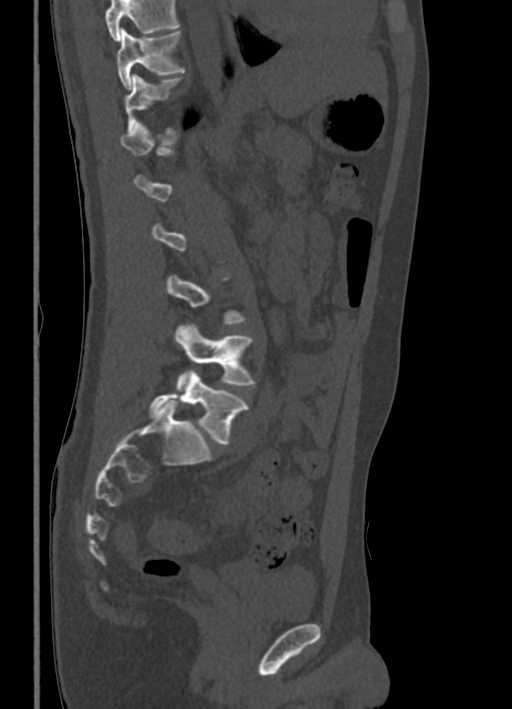 CT; sagittal reformat; Bone window (WL 400, WW 1800); 512x709 px; the image is 336 mm wide
Boxes are (x1, y1, x2, y2) in pixels.
A vertebra is boxed only from the first to the last slice where its cross-section is at least a third of its largest; slices outside that range leave it without a box.
Where the top of the scan cuts through a vertebra, that vertebra gets no label or box.
T10: (117, 29, 185, 89)
T11: (125, 74, 182, 133)
L4: (175, 324, 255, 390)
L5: (149, 371, 249, 444)